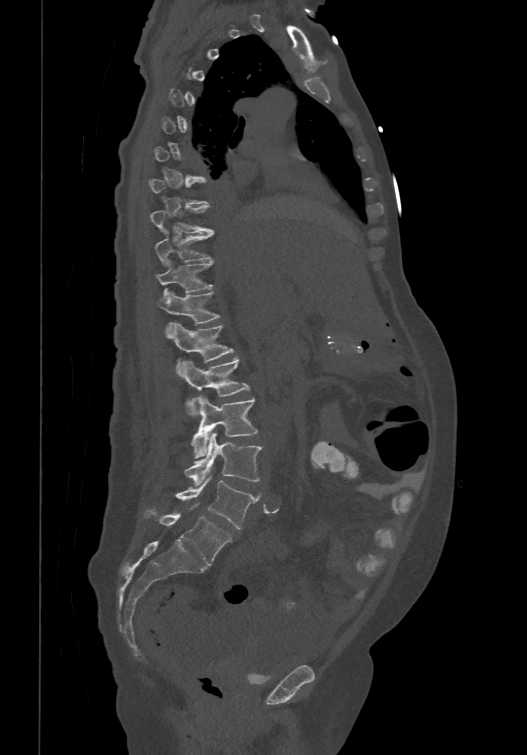

CT; sagittal view

In the table, x1 and y1 are a box's top-left corner and x2 and y2 its bottom-right corner, in pixels.
Not every vertebra on this slice has a box: a vertebra is boxed only from the first to the last slice where its cross-section is at least a third of its largest, and this slice is outside that range for at least one of them.
These labels give the spine a sixth lumbar vertebra, L6, below L5.
| vertebra | x1 | y1 | x2 | y2 |
|---|---|---|---|---|
| T9 | 149 | 204 | 213 | 232 |
| T10 | 154 | 232 | 213 | 263 |
| T11 | 155 | 258 | 212 | 296 |
| T12 | 156 | 290 | 219 | 333 |
| L1 | 167 | 322 | 234 | 372 |
| L2 | 179 | 356 | 249 | 415 |
| L3 | 191 | 396 | 257 | 457 |
| L4 | 184 | 432 | 261 | 486 |
| L5 | 175 | 475 | 257 | 528 |
| L6 | 145 | 503 | 231 | 565 |